Computed tomography of the spine. sagittal view. Bone window (WL 400, WW 1800). scan covers 16 annotated vertebrae
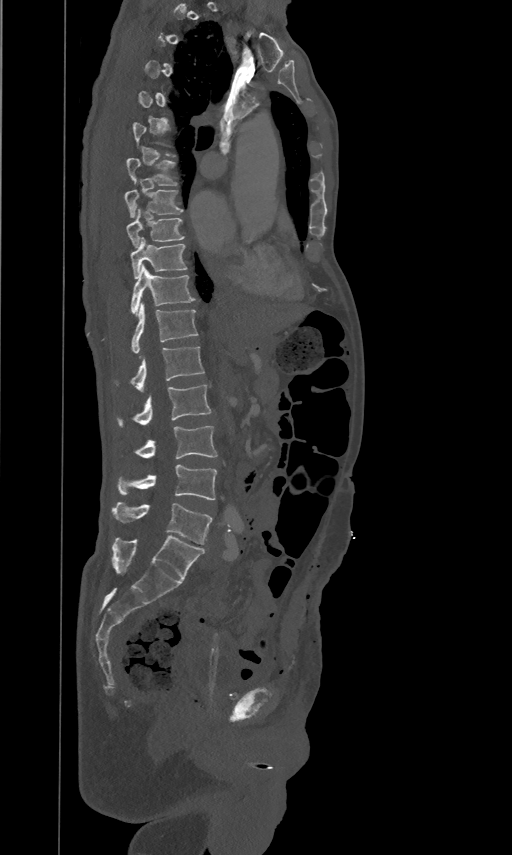

Columns x1, y1, x2, y2 give each box's top-left and bottom-right pixels.
Not every vertebra on this slice has a box: a vertebra is boxed only from the first to the last slice where its cross-section is at least a third of its largest, and this slice is outside that range for at least one of them.
| vertebra | x1 | y1 | x2 | y2 |
|---|---|---|---|---|
| T7 | 127 | 157 | 177 | 184 |
| T8 | 124 | 189 | 182 | 216 |
| T9 | 127 | 207 | 183 | 246 |
| T10 | 130 | 236 | 187 | 278 |
| T11 | 131 | 264 | 194 | 316 |
| T12 | 131 | 302 | 198 | 352 |
| L1 | 131 | 345 | 204 | 391 |
| L2 | 119 | 384 | 211 | 426 |
| L3 | 135 | 425 | 216 | 459 |
| L4 | 118 | 465 | 216 | 500 |
| L5 | 112 | 502 | 212 | 544 |